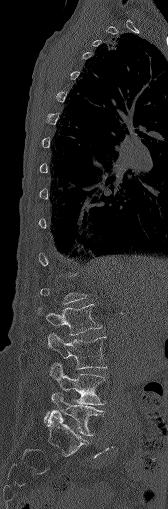 Computed tomography of the spine — sagittal view — bone-window reconstruction

Box values are [left, top, right, bottom] in pixels.
Not every vertebra on this slice has a box: a vertebra is boxed only from the first to the last slice where its cross-section is at least a third of its largest, and this slice is outside that range for at least one of them.
{"vertebrae":{"L5":[43,393,101,435],"L4":[50,363,104,404],"L3":[47,333,106,369],"L2":[38,304,101,335]}}